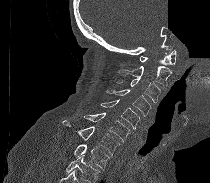 Spine computed tomography · sagittal view · 210x183 px · part of the image is constant black where the scan was masked

Columns x1, y1, x2, y2 give each box's top-left and bottom-right pixels.
No box is given to a vertebra that the bottom edge of the scan cuts off.
| vertebra | x1 | y1 | x2 | y2 |
|---|---|---|---|---|
| C1 | 140 | 50 | 176 | 65 |
| C2 | 118 | 52 | 171 | 88 |
| C3 | 116 | 77 | 160 | 102 |
| C4 | 106 | 88 | 151 | 116 |
| C5 | 100 | 99 | 139 | 128 |
| C6 | 84 | 113 | 131 | 143 |
| C7 | 62 | 120 | 120 | 155 |
| T1 | 73 | 144 | 110 | 171 |